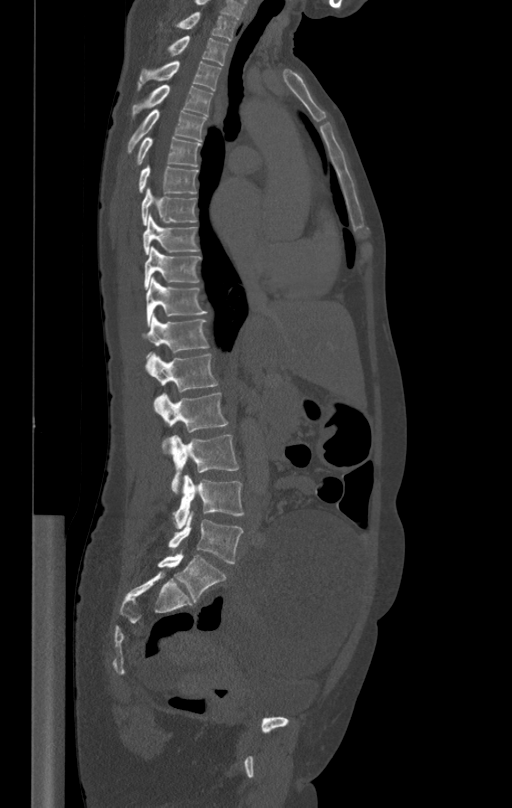

Computed tomography of the spine — sagittal view — image width 412 mm — bone window
<vertebrae><v name="T1" x1="176" y1="12" x2="236" y2="39"/><v name="T2" x1="168" y1="36" x2="228" y2="65"/><v name="T3" x1="137" y1="60" x2="220" y2="91"/><v name="T4" x1="132" y1="84" x2="213" y2="118"/><v name="T5" x1="127" y1="110" x2="206" y2="153"/><v name="T6" x1="135" y1="136" x2="200" y2="167"/><v name="T7" x1="138" y1="166" x2="198" y2="192"/><v name="T8" x1="142" y1="188" x2="196" y2="224"/><v name="T9" x1="143" y1="215" x2="199" y2="255"/><v name="T10" x1="144" y1="246" x2="201" y2="289"/><v name="T11" x1="145" y1="277" x2="206" y2="323"/><v name="T12" x1="143" y1="314" x2="209" y2="356"/><v name="L1" x1="147" y1="353" x2="218" y2="392"/><v name="L2" x1="154" y1="393" x2="228" y2="453"/><v name="L3" x1="171" y1="435" x2="239" y2="493"/><v name="L4" x1="173" y1="474" x2="244" y2="528"/><v name="L5" x1="168" y1="512" x2="242" y2="563"/></vertebrae>